CT, spine — Sagittal slice 264/512 — W/L 1800/400 HU — a region is masked with a constant gray value
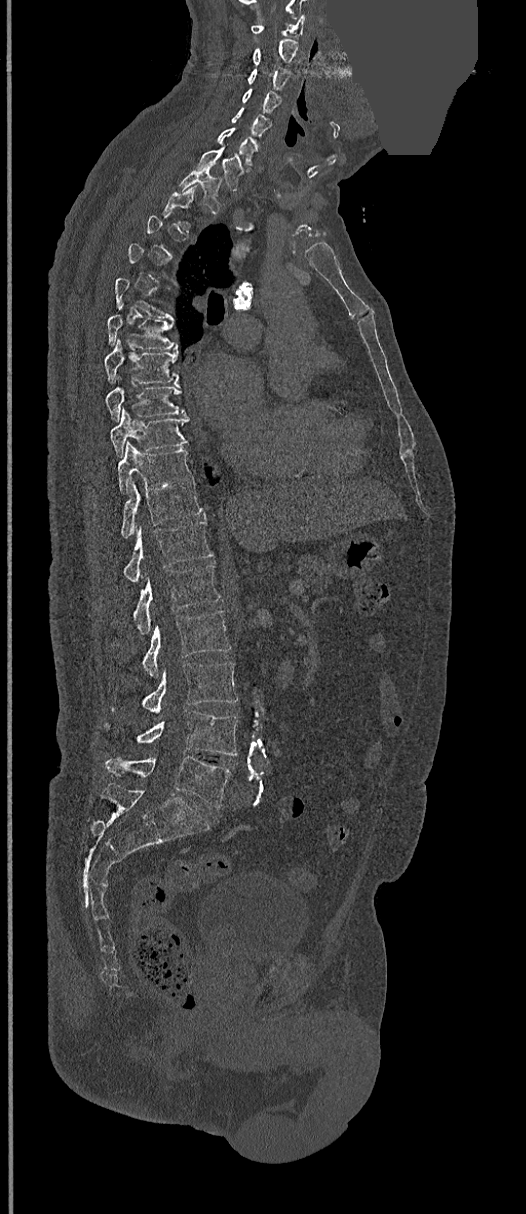

Each box given as x1,y1,x2,y2.
A vertebra gets a box only on the slices from the first to the last where its cross-section is at least a third of its largest; on a slice outside that range it gets none.
C1: x1=252, y1=14, x2=305, y2=36
C2: x1=253, y1=39, x2=298, y2=65
C3: x1=248, y1=69, x2=289, y2=90
C4: x1=242, y1=89, x2=280, y2=112
C5: x1=231, y1=107, x2=269, y2=136
C6: x1=217, y1=129, x2=259, y2=166
C7: x1=197, y1=147, x2=243, y2=189
T1: x1=180, y1=170, x2=222, y2=212
T6: x1=107, y1=314, x2=178, y2=349
T7: x1=104, y1=339, x2=179, y2=383
T8: x1=106, y1=383, x2=185, y2=419
T9: x1=110, y1=409, x2=189, y2=455
T10: x1=117, y1=441, x2=193, y2=493
T11: x1=121, y1=480, x2=203, y2=538
T12: x1=124, y1=519, x2=212, y2=582
L1: x1=132, y1=564, x2=220, y2=635
L2: x1=143, y1=610, x2=230, y2=678
L3: x1=143, y1=661, x2=237, y2=715
L4: x1=106, y1=710, x2=237, y2=755
L5: x1=106, y1=756, x2=230, y2=808